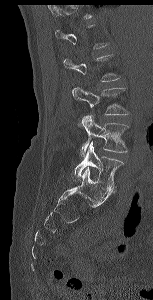 CT · image width 153 mm · sagittal view · 153x300 px

Bounding boxes as [x1, y1, x2, y2] in pixel coordinates.
Not every vertebra on this slice has a box: a vertebra is boxed only from the first to the last slice where its cross-section is at least a third of its largest, and this slice is outside that range for at least one of them.
L3: [72, 87, 129, 115]
L4: [81, 115, 129, 156]
L5: [73, 142, 123, 189]